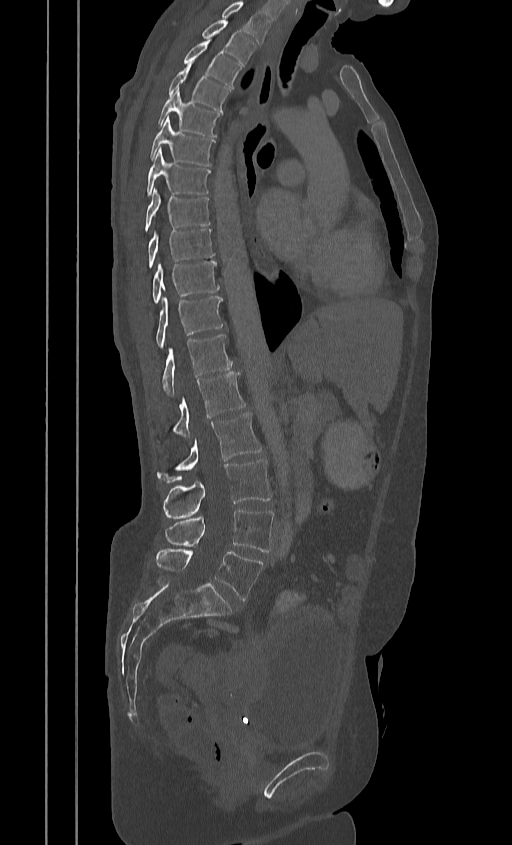 Computed tomography of the spine · sagittal reformat
The highest labeled vertebra in this scan is T2; the lowest is L5.
<vertebrae><v name="L5" x1="156" y1="548" x2="263" y2="600"/><v name="L4" x1="165" y1="509" x2="273" y2="552"/><v name="L3" x1="162" y1="460" x2="271" y2="519"/><v name="L2" x1="156" y1="412" x2="261" y2="483"/><v name="L1" x1="156" y1="372" x2="245" y2="440"/><v name="T12" x1="162" y1="335" x2="232" y2="396"/><v name="T11" x1="156" y1="296" x2="223" y2="347"/><v name="T10" x1="152" y1="260" x2="219" y2="303"/><v name="T9" x1="148" y1="228" x2="215" y2="268"/><v name="T8" x1="144" y1="189" x2="211" y2="232"/><v name="T7" x1="145" y1="148" x2="211" y2="195"/><v name="T6" x1="149" y1="116" x2="215" y2="166"/><v name="T5" x1="157" y1="88" x2="220" y2="136"/><v name="T4" x1="168" y1="64" x2="229" y2="111"/><v name="T3" x1="182" y1="40" x2="241" y2="87"/><v name="T2" x1="201" y1="20" x2="255" y2="66"/></vertebrae>